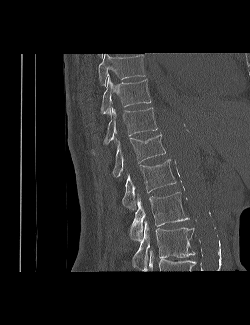

CT, spine — sagittal view — 250 mm across the image — W/L 1800/400 HU — 250x325 px

Coordinates as <box>x1,y1,x2,y2</box>.
In this scan, the topmost labeled vertebra is T9 and the lowest is L3.
L3: <box>132,220,195,270</box>
L2: <box>129,192,189,240</box>
L1: <box>122,159,176,209</box>
T12: <box>112,132,165,177</box>
T11: <box>103,107,157,145</box>
T10: <box>101,76,151,114</box>
T9: <box>97,54,146,86</box>